Computed tomography of the spine; Sagittal slice 259/512; 512x609 px
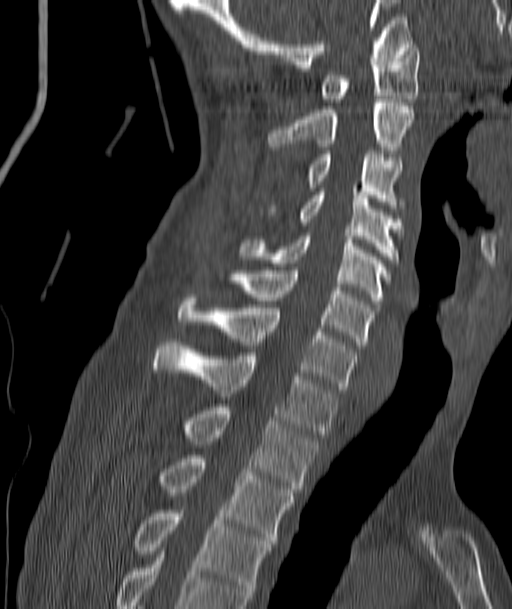

Boxes: x1 y1 x2 y2 (pixel coords, space-separated). Vertebrae labeled: C1 at 321 44 419 102, C2 at 269 99 414 156, C3 at 305 151 402 211, C4 at 261 188 405 263, C5 at 242 233 389 304, C6 at 236 270 372 348, C7 at 179 298 356 389, T1 at 154 342 337 437, T2 at 187 407 317 492, T3 at 160 455 293 543, T4 at 135 510 271 598.